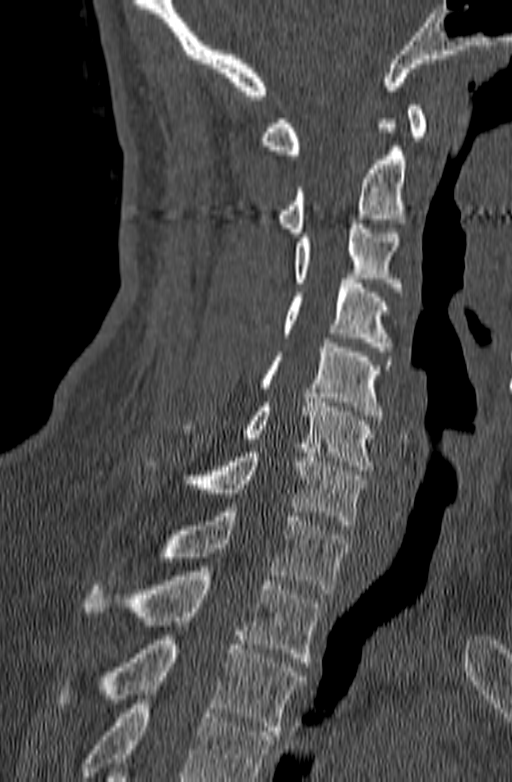
CT; sagittal view; bone-window reconstruction
Coordinates as <box>x1,y1,x2,y2</box>.
A vertebra cut off by the bottom edge of the scan is not labeled and has no box.
Vertebra bounding boxes:
- C1: <box>260,105,426,159</box>
- C2: <box>276,119,406,237</box>
- C3: <box>294,219,402,296</box>
- C4: <box>282,279,392,351</box>
- C5: <box>260,338,392,420</box>
- C6: <box>181,398,376,470</box>
- C7: <box>143,448,366,529</box>
- T1: <box>160,507,351,593</box>
- T2: <box>83,571,322,662</box>
- T3: <box>58,640,305,735</box>